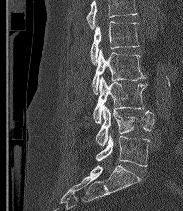 Spine CT · sagittal reformat · 183 mm wide · bone-window reconstruction

Bounding boxes as [x1, y1, x2, y2] in pixel coordinates.
A vertebra cut off by the top edge of the scan is not labeled and has no box.
In these labels the spine has an L6, a sixth lumbar vertebra below L5.
Vertebra bounding boxes:
- L2: [90, 21, 139, 64]
- L3: [92, 49, 145, 94]
- L4: [93, 77, 147, 123]
- L5: [95, 105, 154, 146]
- L6: [96, 134, 149, 166]